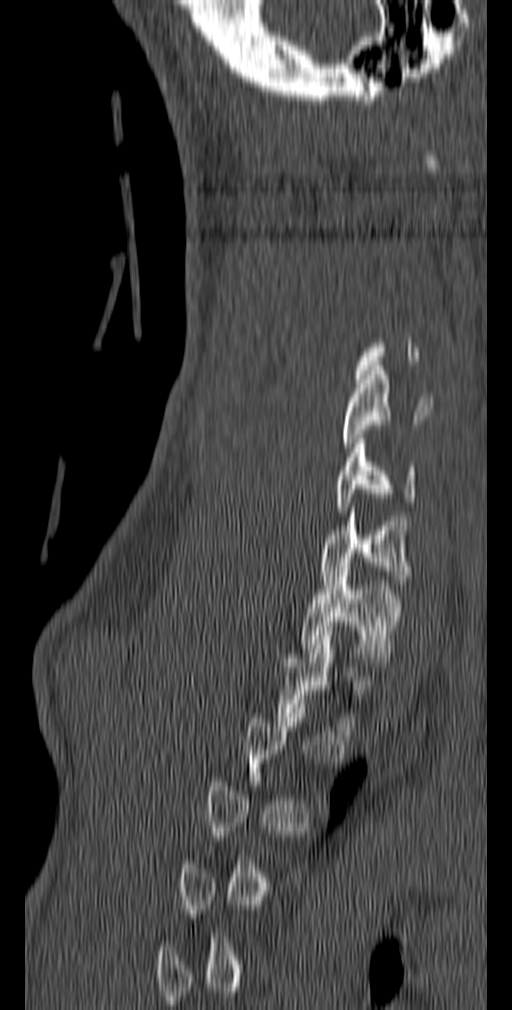
Spine computed tomography — sagittal view — bone-window reconstruction — 512x1010 px. Each row gives a vertebra's box as x1, y1, x2, y2 in pixels: top-left corner, then bottom-right corner.
Each vertebra is boxed only on the slices from the first to the last where its cross-section reaches a third of its largest, so a slice outside that range leaves it unboxed.
| vertebra | x1 | y1 | x2 | y2 |
|---|---|---|---|---|
| C5 | 341 | 366 | 432 | 452 |
| C6 | 334 | 439 | 418 | 511 |
| C7 | 320 | 507 | 410 | 589 |
| T1 | 300 | 567 | 403 | 662 |